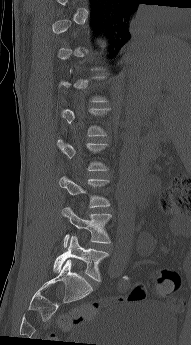 CT, spine; the image is 191 mm wide; sagittal view; W/L 1800/400 HU
Each box given as x1,y1,x2,y2.
A vertebra gets a box only on the slices from the first to the last where its cross-section is at least a third of its largest; on a slice outside that range it gets none.
| vertebra | x1 | y1 | x2 | y2 |
|---|---|---|---|---|
| L5 | 53 | 236 | 109 | 281 |
| L4 | 61 | 207 | 111 | 247 |
| L3 | 59 | 176 | 110 | 207 |
| L2 | 56 | 139 | 108 | 170 |